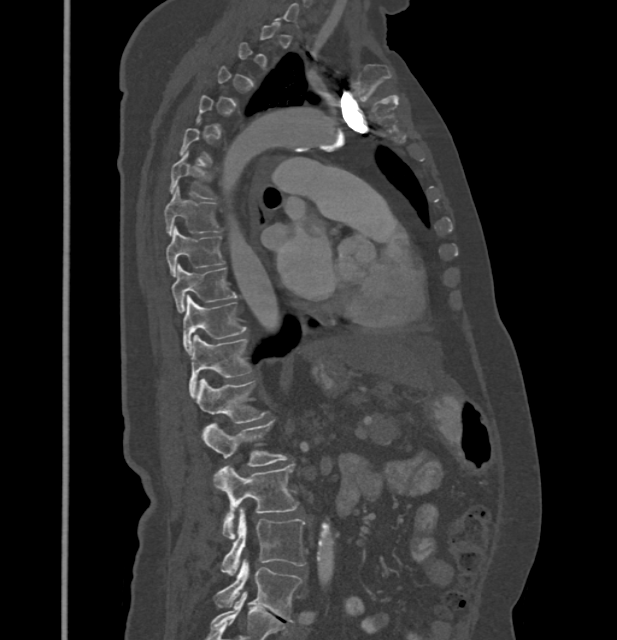
Spine CT; sagittal reformat; 432 mm wide
A vertebra gets a box only on the slices from the first to the last where its cross-section is at least a third of its largest; on a slice outside that range it gets none.
In these labels the thoracic vertebrae end at T11, so L1 follows T11.
<vertebrae><v name="T6" x1="170" y1="153" x2="215" y2="199"/><v name="T7" x1="164" y1="187" x2="218" y2="235"/><v name="T8" x1="165" y1="226" x2="224" y2="276"/><v name="T9" x1="171" y1="266" x2="236" y2="312"/><v name="T10" x1="183" y1="296" x2="246" y2="352"/><v name="T11" x1="188" y1="335" x2="250" y2="395"/><v name="L1" x1="195" y1="379" x2="264" y2="424"/><v name="L2" x1="202" y1="422" x2="286" y2="466"/><v name="L3" x1="215" y1="465" x2="298" y2="539"/><v name="L4" x1="222" y1="507" x2="306" y2="575"/><v name="L5" x1="216" y1="559" x2="302" y2="622"/></vertebrae>